Computed tomography of the spine. sagittal plane, index 245. the image is 471 mm wide. 18 vertebrae labeled in this scan
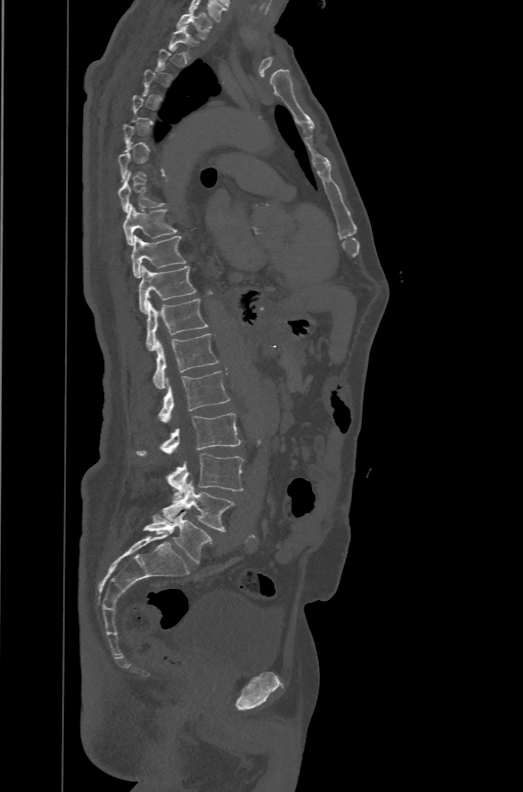
Box edges are left/top/right/bottom in pixels. A vertebra is boxed only from the first to the last slice where its cross-section is at least a third of its largest; slices outside that range leave it without a box. In these labels the spine has an L6, a sixth lumbar vertebra below L5. Vertebrae labeled: T1 at left=177, top=11, right=213, bottom=39, T9 at left=123, top=204, right=177, bottom=245, T10 at left=131, top=235, right=186, bottom=278, T11 at left=139, top=265, right=195, bottom=314, T12 at left=145, top=299, right=208, bottom=351, L1 at left=153, top=333, right=218, bottom=388, L2 at left=158, top=371, right=230, bottom=423, L3 at left=137, top=413, right=241, bottom=455, L4 at left=168, top=453, right=243, bottom=498, L5 at left=163, top=480, right=234, bottom=531, L6 at left=143, top=511, right=212, bottom=563.